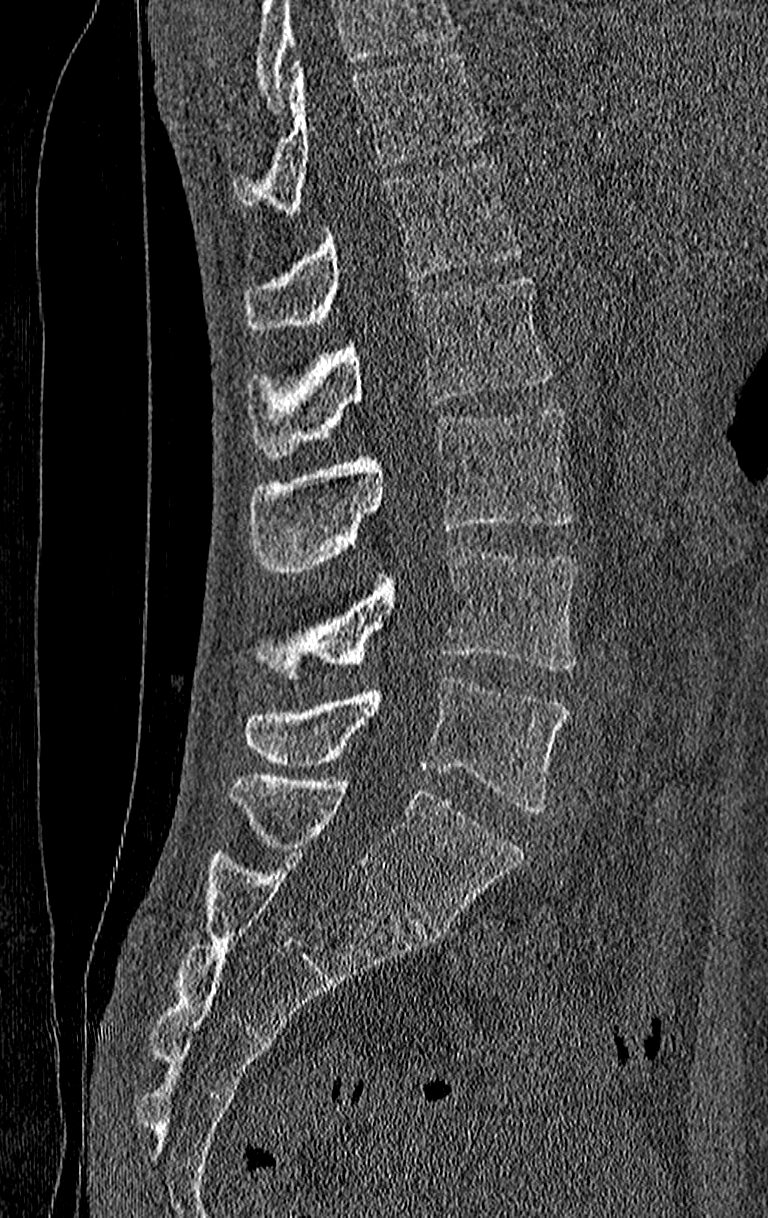
CT, spine; sagittal view; 768x1218 px; 210 mm across the image

Where the top of the scan cuts through a vertebra, that vertebra gets no label or box.
Labels in this scan begin with T11 at the top and end with L4 at the bottom.
<vertebrae><v name="L4" x1="244" y1="678" x2="568" y2="812"/><v name="L3" x1="251" y1="546" x2="579" y2="680"/><v name="L2" x1="247" y1="406" x2="572" y2="573"/><v name="L1" x1="247" y1="278" x2="554" y2="457"/><v name="T12" x1="244" y1="158" x2="524" y2="330"/><v name="T11" x1="233" y1="53" x2="480" y2="216"/></vertebrae>